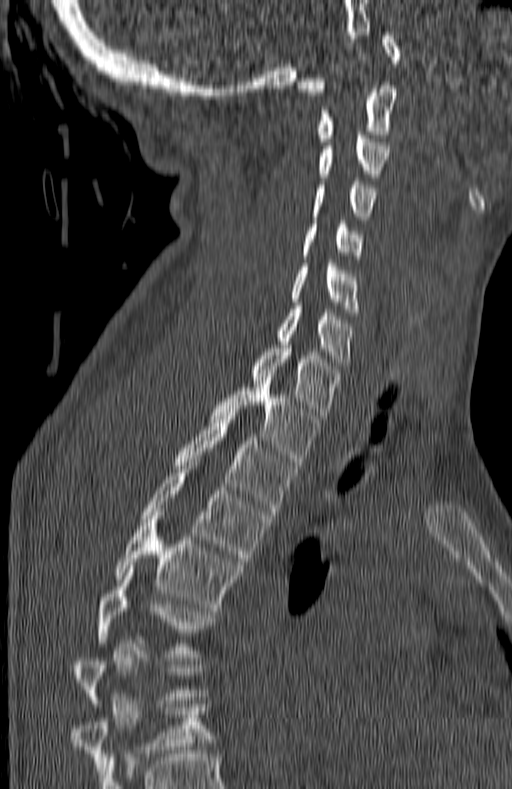

CT — sagittal view — 512x789 px
Boxes: x1:y1:x2:y2 in pixels. Each vertebra is boxed only on the slices from the first to the last where its cross-section reaches a third of its largest, so a slice outside that range leaves it unboxed. The labeled vertebrae in this slice are: C1 at 297:32:399:95, C2 at 319:85:395:141, C3 at 318:132:390:177, C4 at 314:181:375:219, C5 at 302:220:361:259, C6 at 291:260:358:312, C7 at 277:306:353:365, T1 at 251:341:338:419, T2 at 211:380:318:465, T3 at 174:412:293:515, T4 at 140:459:270:561, T5 at 115:512:239:611, T6 at 97:569:210:657.